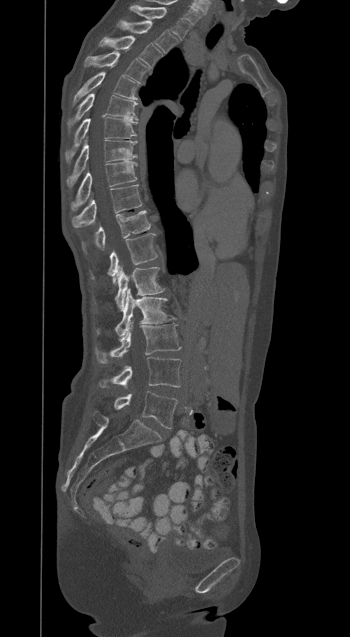

CT, spine. sagittal view. Bone window (WL 400, WW 1800). 350x637 px
Boxes below are [x1, y1, x2, y2] in pixels.
{"vertebrae":{"T1":[129,5,190,38],"T2":[118,21,178,53],"T3":[100,36,162,67],"T4":[85,52,148,81],"T5":[73,72,137,103],"T6":[67,93,138,129],"T7":[65,117,137,161],"T8":[67,140,136,187],"T9":[71,161,136,211],"T10":[72,185,142,227],"T11":[81,210,150,252],"T12":[91,233,157,282],"L1":[92,267,164,310],"L2":[97,289,174,336],"L3":[95,324,180,362],"L4":[98,357,181,387],"L5":[114,391,177,428]}}